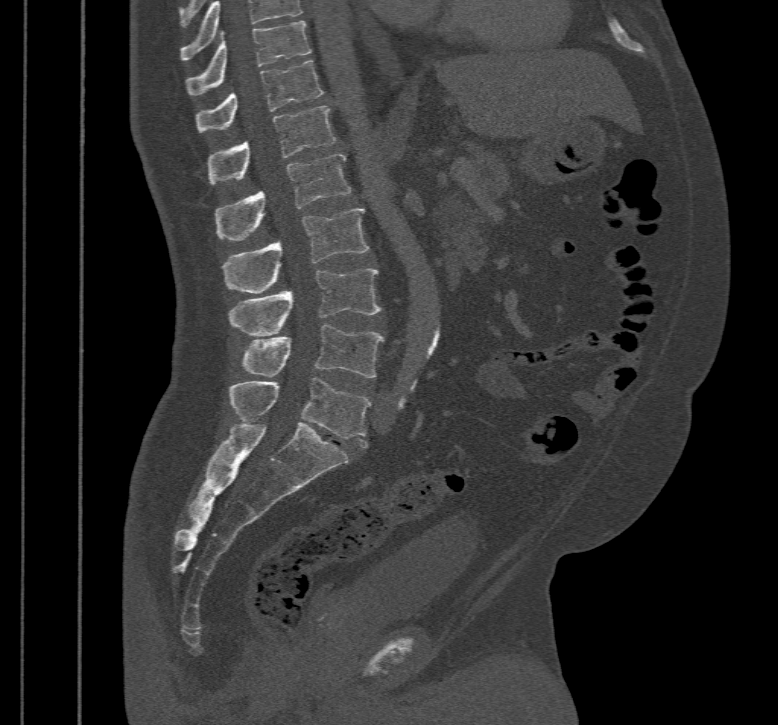

Computed tomography of the spine · sagittal view · W/L 1800/400 HU · image width 467 mm. Columns x1, y1, x2, y2 give each box's top-left and bottom-right pixels.
This scan's labels start at T10 at the top and end at L5 at the bottom.
| vertebra | x1 | y1 | x2 | y2 |
|---|---|---|---|---|
| T10 | 185 | 20 | 311 | 94 |
| T11 | 195 | 60 | 323 | 133 |
| T12 | 208 | 105 | 335 | 184 |
| L1 | 214 | 154 | 350 | 241 |
| L2 | 222 | 209 | 368 | 293 |
| L3 | 228 | 268 | 381 | 336 |
| L4 | 242 | 324 | 385 | 378 |
| L5 | 228 | 377 | 370 | 448 |